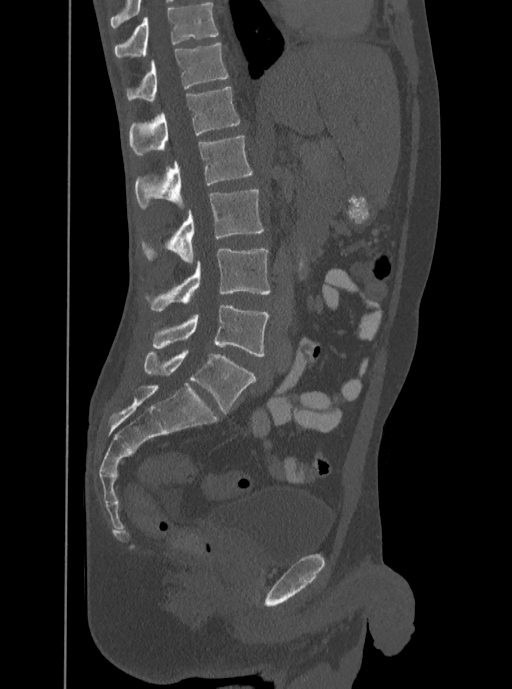
CT spine. sagittal reformat. bone-window reconstruction. 350 mm across the image. Boxes: x1 y1 x2 y2 (pixel coords, space-separated). In this scan, the topmost labeled vertebra is T12 and the lowest is L5. 6 vertebrae labeled — L5 at 152 305 269 356; L4 at 146 249 271 311; L3 at 142 190 264 264; L2 at 134 136 252 208; L1 at 128 86 240 156; T12 at 126 42 228 100.